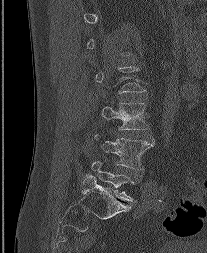 Spine CT · sagittal view · bone-window reconstruction · 207x253 px · image 207 mm wide
Columns x1, y1, x2, y2 give each box's top-left and bottom-right pixels.
Not every vertebra on this slice has a box: a vertebra is boxed only from the first to the last slice where its cross-section is at least a third of its largest, and this slice is outside that range for at least one of them.
| vertebra | x1 | y1 | x2 | y2 |
|---|---|---|---|---|
| L3 | 102 | 103 | 148 | 129 |
| L4 | 94 | 134 | 154 | 169 |
| L5 | 92 | 161 | 134 | 201 |